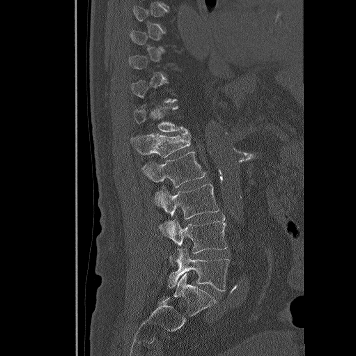
CT — sagittal view — the image is 356 mm wide — bone window — 356x356 px
Box edges are left/top/right/bottom in pixels.
A vertebra is boxed only from the first to the last slice where its cross-section is at least a third of its largest; slices outside that range leave it without a box.
Vertebra bounding boxes:
- L5: left=168, top=248, right=229, bottom=290
- L4: left=159, top=213, right=227, bottom=253
- L3: left=155, top=184, right=219, bottom=219
- L2: left=142, top=151, right=205, bottom=206
- L1: left=131, top=132, right=190, bottom=157
- T12: left=134, top=106, right=187, bottom=132